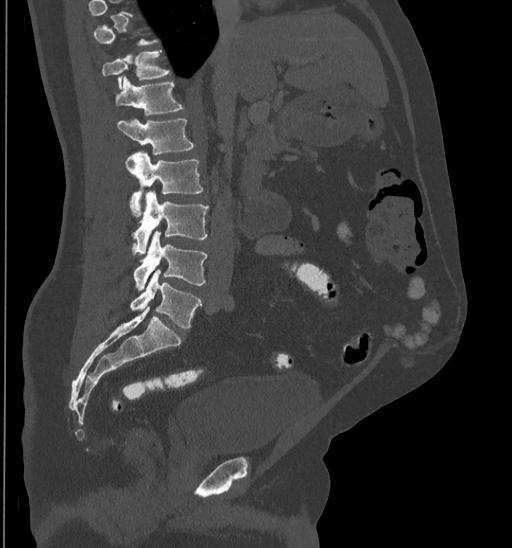

CT. sagittal reformat. W/L 1800/400 HU

A vertebra gets a box only on the slices from the first to the last where its cross-section is at least a third of its largest; on a slice outside that range it gets none.
<vertebrae><v name="T11" x1="102" y1="50" x2="170" y2="89"/><v name="T12" x1="115" y1="76" x2="183" y2="114"/><v name="L1" x1="117" y1="119" x2="193" y2="154"/><v name="L2" x1="126" y1="151" x2="203" y2="216"/><v name="L3" x1="130" y1="191" x2="208" y2="253"/><v name="L4" x1="134" y1="231" x2="207" y2="290"/><v name="L5" x1="130" y1="270" x2="201" y2="327"/></vertebrae>